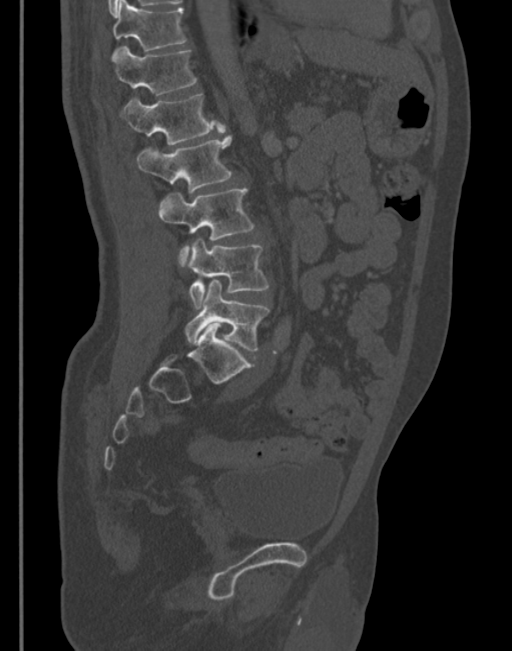 CT — sagittal reformat — the image is 345 mm wide — 512x651 px
<vertebrae><v name="L5" x1="185" y1="280" x2="269" y2="352"/><v name="L4" x1="188" y1="239" x2="269" y2="309"/><v name="L3" x1="159" y1="188" x2="254" y2="267"/><v name="L2" x1="136" y1="134" x2="232" y2="193"/><v name="L1" x1="121" y1="93" x2="224" y2="145"/><v name="T12" x1="113" y1="45" x2="198" y2="95"/><v name="T11" x1="111" y1="0" x2="186" y2="60"/></vertebrae>